Spine computed tomography; the image is 211 mm wide; sagittal view; Bone window (WL 400, WW 1800); scan covers 17 annotated vertebrae
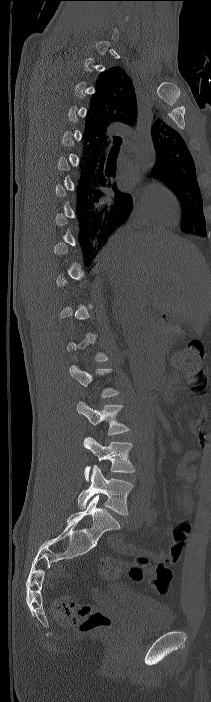

Boxes: x1:y1:x2:y2 in pixels.
Not every vertebra on this slice has a box: a vertebra is boxed only from the first to the last slice where its cross-section is at least a third of its largest, and this slice is outside that range for at least one of them.
Labels in this scan begin with C7 at the top and end with L4 at the bottom.
Vertebra bounding boxes:
- L2: 76:401:129:435
- L3: 83:436:135:481
- L4: 78:465:133:515